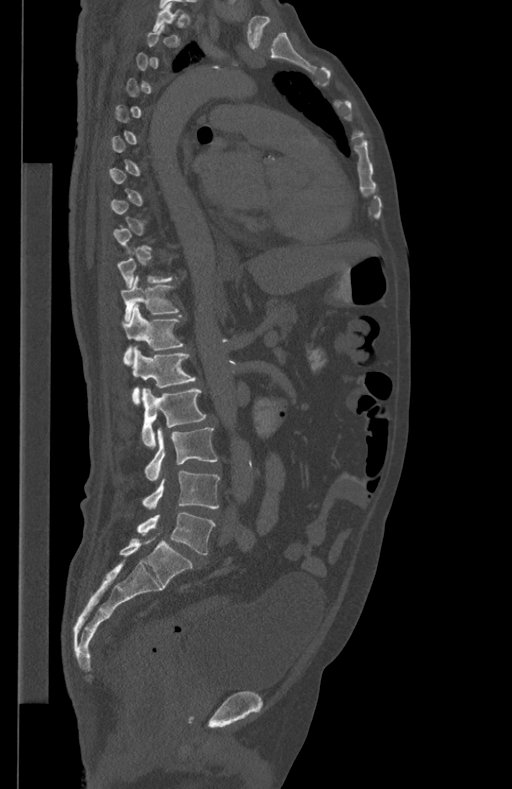 Spine CT · image width 434 mm · sagittal view · Bone window (WL 400, WW 1800) · 512x789 px

Each vertebra maps to its box as [x1, y1, x2, y2], the pixel coordinates of its top-left and bottom-right corners.
A vertebra gets a box only on the slices from the first to the last where its cross-section is at least a third of its largest; on a slice outside that range it gets none.
{"vertebrae":{"L5":[137,512,215,554],"L4":[143,470,220,510],"L3":[145,428,217,481],"L2":[141,388,205,448],"L1":[131,346,196,404],"T12":[121,305,183,364],"T11":[120,276,178,321]}}